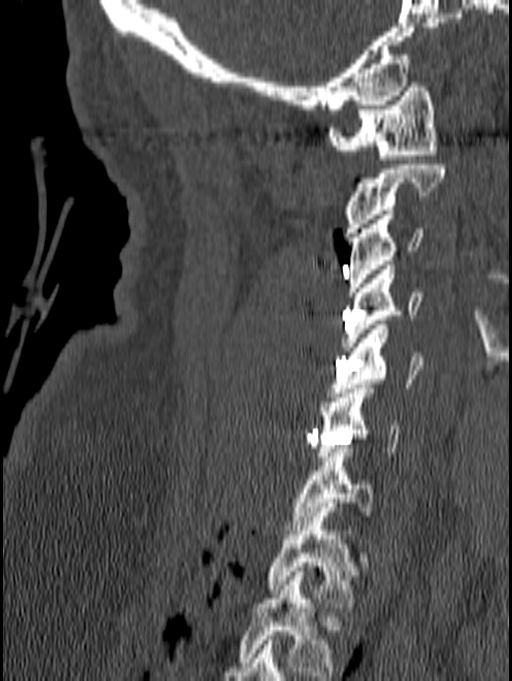

Computed tomography of the spine · sagittal view · 140 mm image width
Each box given as x1,y1,x2,y2. The highest labeled vertebra in this scan is C1; the lowest is T1. The labeled vertebrae in this slice are: T1 at x1=266, y1=507, x2=355, y2=607, C7 at x1=284, y1=443, x2=373, y2=534, C6 at x1=316, y1=384, x2=403, y2=461, C5 at x1=329, y1=325, x2=425, y2=397, C4 at x1=341, y1=265, x2=422, y2=351, C3 at x1=348, y1=210, x2=423, y2=296, C2 at x1=342, y1=165, x2=446, y2=237, C1 at x1=327, y1=82, x2=437, y2=159.